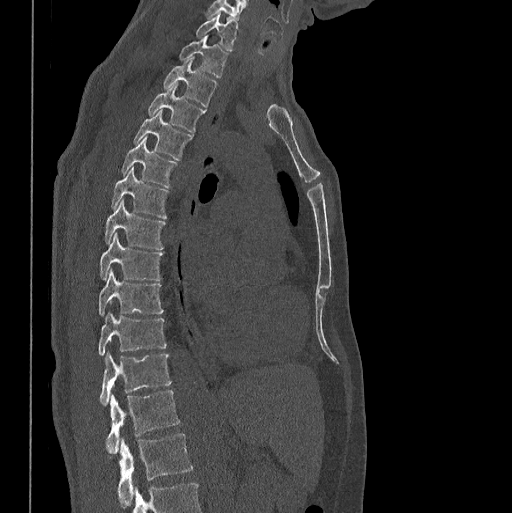
CT, spine; sagittal view; Bone window (WL 400, WW 1800); 512x513 px

Bounding boxes as [x1, y1, x2, y2] in pixel coordinates. Labels in this scan begin with C7 at the top and end with L1 at the bottom. The labeled vertebrae in this slice are: C7 at [195, 13, 237, 51], T1 at [179, 37, 227, 77], T2 at [163, 59, 216, 107], T3 at [148, 85, 206, 132], T4 at [134, 110, 192, 160], T5 at [121, 135, 176, 188], T6 at [112, 167, 167, 219], T7 at [104, 199, 166, 249], T8 at [100, 234, 164, 280], T9 at [98, 270, 164, 315], T10 at [99, 313, 166, 354], T11 at [100, 353, 171, 405], T12 at [105, 390, 180, 453], L1 at [117, 433, 193, 505].